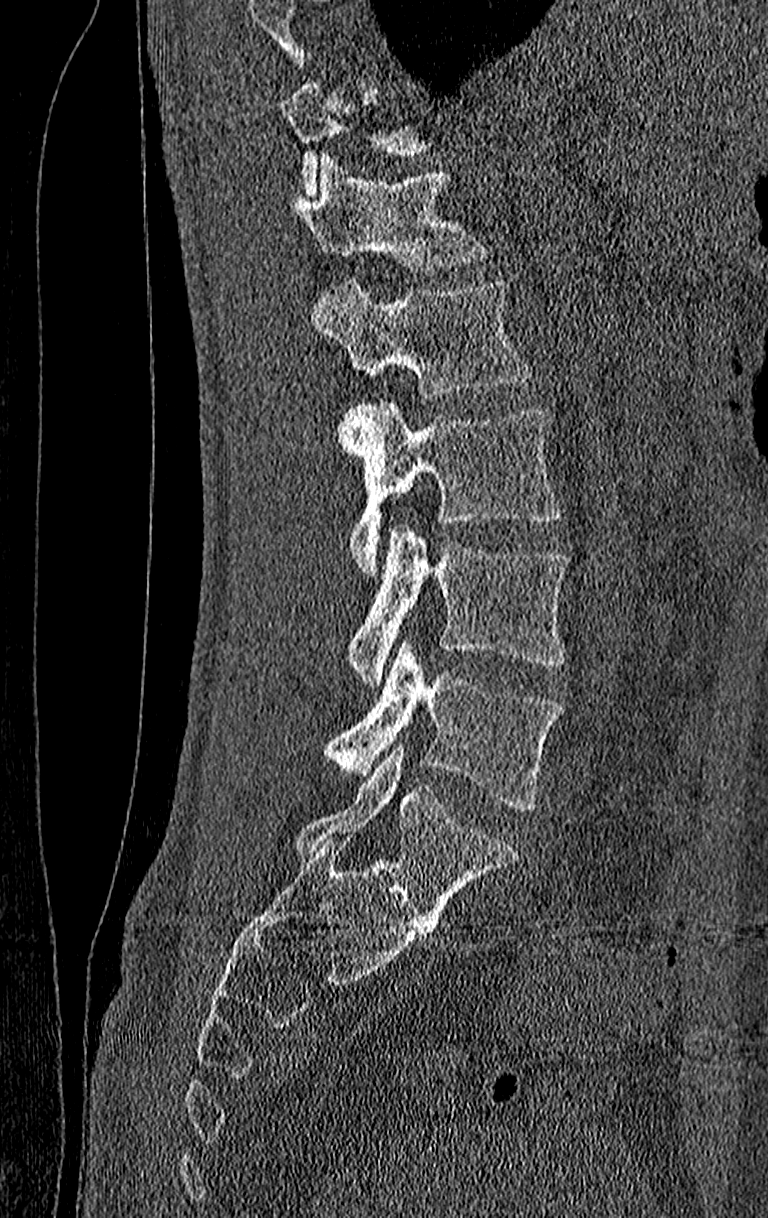 Spine CT; sagittal view; bone-window reconstruction; 768x1218 px; 210 mm image width
Boxes: x1:y1:x2:y2 in pixels. Each vertebra is boxed only on the slices from the first to the last where its cross-section reaches a third of its largest, so a slice outside that range leaves it unboxed. This scan's labels start at T11 at the top and end at L4 at the bottom. Vertebrae labeled: T12 at 284:156:491:274, L1 at 310:278:532:399, L2 at 342:403:561:573, L3 at 346:523:568:684, L4 at 324:640:561:812.